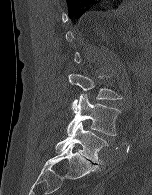
Spine computed tomography. sagittal view. 152x195 px
Each box is [x1, y1, x2, y2] in pixels: top-left corner, then bottom-right corner.
Each vertebra is boxed only on the slices from the first to the last where its cross-section reaches a third of its largest, so a slice outside that range leaves it unboxed.
{"vertebrae":{"L3":[68,73,122,112],"L4":[66,94,120,135],"L5":[55,121,108,163]}}